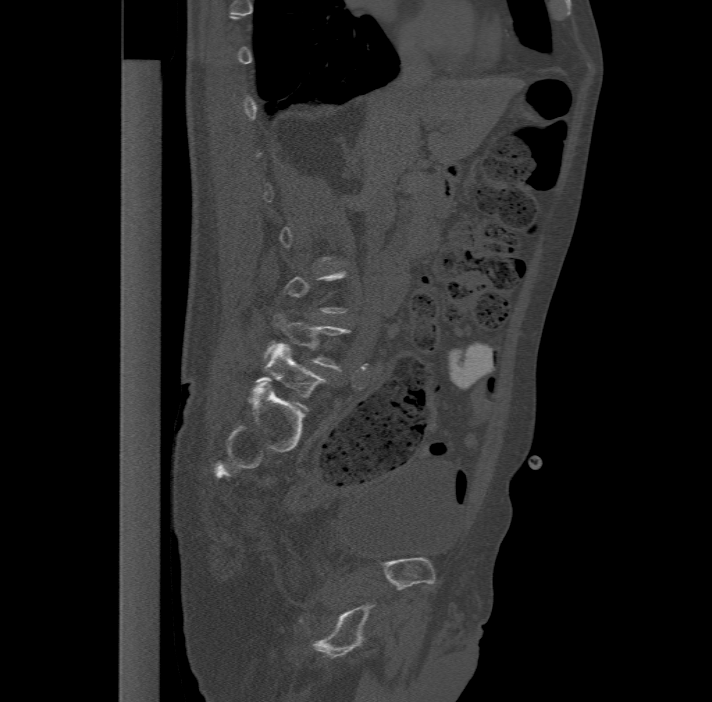

Spine computed tomography; sagittal view
Boxes are (x1, y1, x2, y2) in pixels. A vertebra is boxed only from the first to the last slice where its cross-section is at least a third of its largest; slices outside that range leave it without a box. These labels give the spine a sixth lumbar vertebra, L6, below L5. The labeled vertebrae in this slice are: L5 at (264, 312, 349, 370), L6 at (257, 344, 326, 410).